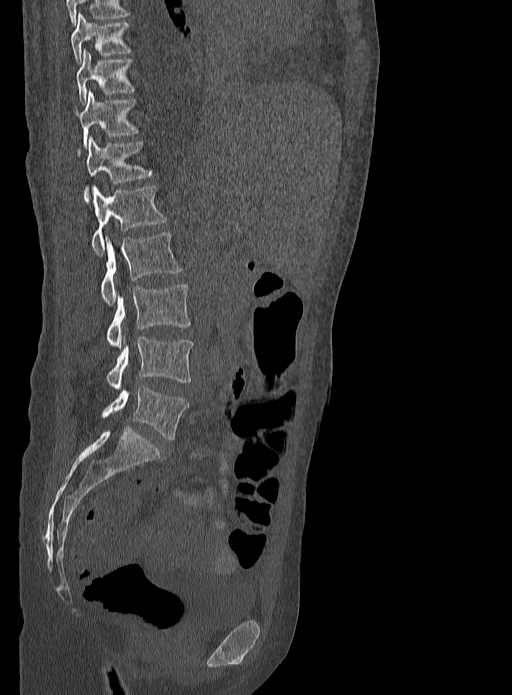 CT · sagittal reformat

Boxes are (x1, y1, x2, y2) in pixels.
Vertebra bounding boxes:
- T9: (70, 14, 129, 64)
- T10: (75, 49, 134, 104)
- T11: (75, 91, 137, 147)
- T12: (77, 137, 151, 199)
- L1: (91, 186, 166, 254)
- L2: (101, 232, 182, 305)
- L3: (106, 284, 189, 348)
- L4: (106, 334, 192, 391)
- L5: (101, 384, 188, 439)